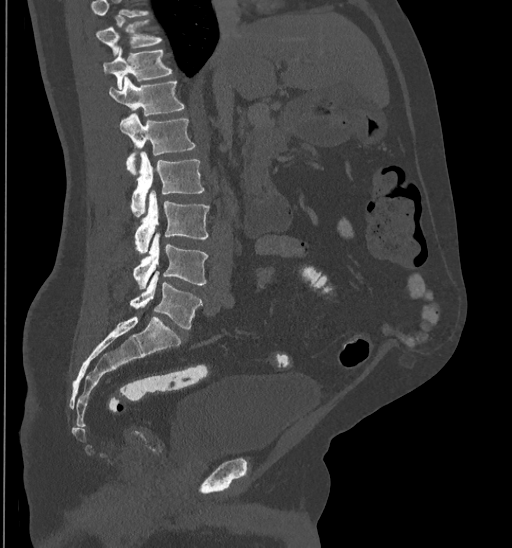

CT, spine. sagittal view. Bone window (WL 400, WW 1800)

Where the top of the scan cuts through a vertebra, that vertebra gets no label or box.
<vertebrae><v name="T10" x1="95" y1="19" x2="161" y2="55"/><v name="T11" x1="103" y1="48" x2="172" y2="89"/><v name="T12" x1="109" y1="76" x2="185" y2="116"/><v name="L1" x1="119" y1="113" x2="195" y2="175"/><v name="L2" x1="131" y1="151" x2="204" y2="216"/><v name="L3" x1="134" y1="191" x2="210" y2="252"/><v name="L4" x1="133" y1="233" x2="208" y2="289"/><v name="L5" x1="129" y1="271" x2="201" y2="330"/></vertebrae>